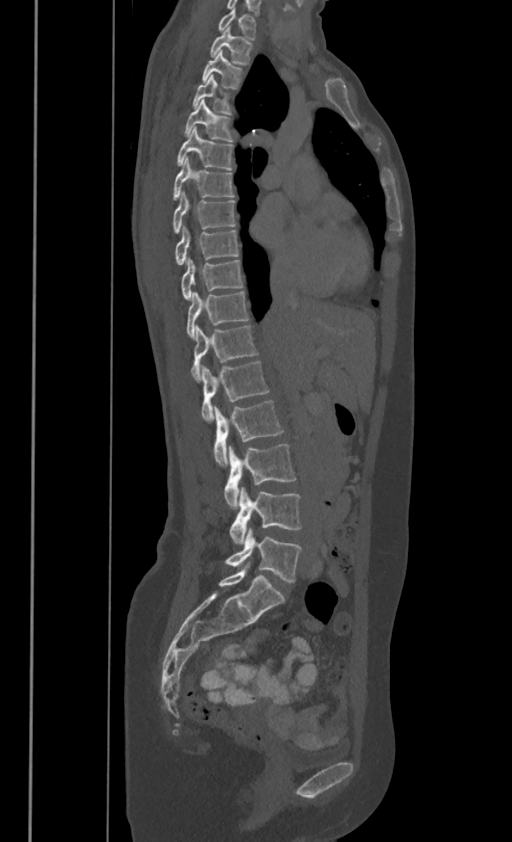
CT spine; sagittal view; W/L 1800/400 HU; 512x842 px. Bounding boxes as [x1, y1, x2, y2] in pixel coordinates.
These labels give this spine no T12: after T11 the next vertebra is L1.
C7: [217, 7, 256, 38]
T1: [209, 26, 252, 63]
T2: [201, 50, 243, 87]
T3: [192, 74, 231, 112]
T4: [184, 99, 232, 141]
T5: [176, 125, 232, 169]
T6: [172, 156, 234, 198]
T7: [172, 191, 235, 232]
T8: [175, 227, 239, 264]
T9: [182, 258, 243, 299]
T10: [187, 290, 248, 337]
T11: [191, 325, 257, 380]
L1: [201, 361, 268, 422]
L2: [213, 399, 283, 466]
L3: [224, 444, 296, 508]
L4: [229, 487, 301, 543]
L5: [225, 529, 301, 582]